Computed tomography of the spine — sagittal view — 500 mm image width — 556x678 px — 13 vertebrae labeled in this scan
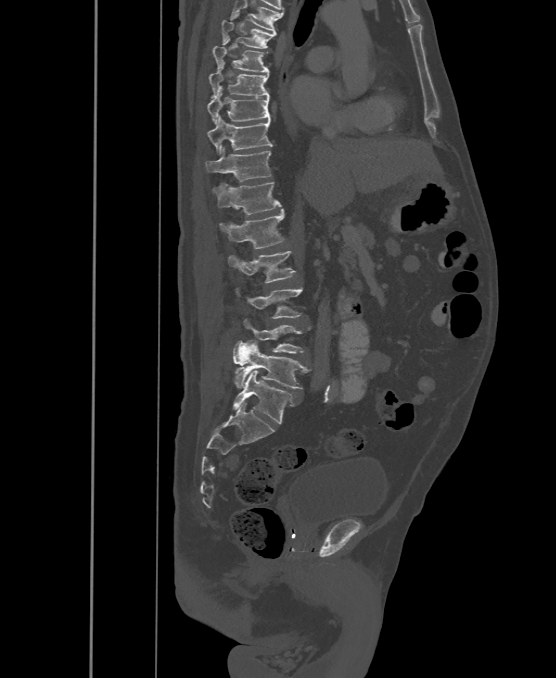 Each box given as x1,y1,x2,y2.
The highest labeled vertebra in this scan is T6; the lowest is L6.
These labels give the spine a sixth lumbar vertebra, L6, below L5.
| vertebra | x1 | y1 | x2 | y2 |
|---|---|---|---|---|
| T6 | 221 | 14 | 276 | 48 |
| T7 | 213 | 36 | 269 | 73 |
| T8 | 208 | 63 | 269 | 98 |
| T9 | 207 | 92 | 270 | 123 |
| T10 | 207 | 116 | 272 | 154 |
| T11 | 205 | 147 | 271 | 182 |
| T12 | 213 | 181 | 280 | 214 |
| L1 | 219 | 209 | 284 | 248 |
| L2 | 228 | 250 | 295 | 283 |
| L3 | 237 | 288 | 303 | 318 |
| L4 | 243 | 317 | 310 | 353 |
| L5 | 233 | 340 | 309 | 388 |
| L6 | 233 | 370 | 294 | 424 |